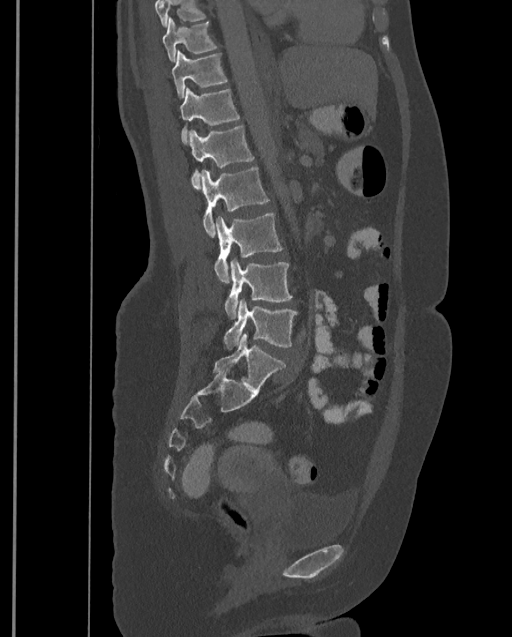

Computed tomography of the spine; sagittal view
Bounding boxes as [x1, y1, x2, y2] in pixel coordinates.
A vertebra cut off by the top edge of the scan is not labeled and has no box.
This scan's labels start at T9 at the top and end at L4 at the bottom.
Vertebra bounding boxes:
- L4: [223, 299, 297, 349]
- L3: [224, 259, 293, 319]
- L2: [214, 212, 282, 283]
- L1: [201, 166, 268, 237]
- T12: [188, 126, 254, 190]
- T11: [181, 87, 240, 145]
- T10: [172, 50, 227, 99]
- T9: [163, 16, 218, 61]